Spine computed tomography; sagittal plane, index 314; W/L 1800/400 HU; 512x694 px; 12 vertebrae labeled in this scan
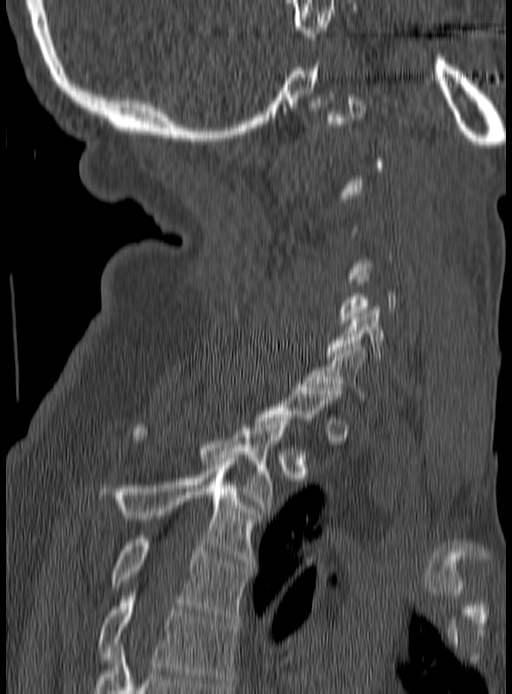
Boxes: x1:y1:x2:y2 in pixels.
Not every vertebra on this slice has a box: a vertebra is boxed only from the first to the last slice where its cross-section is at least a third of its largest, and this slice is outside that range for at least one of them.
C6: 326:307:411:359
C7: 306:344:366:400
T2: 133:418:290:511
T3: 98:461:259:565
T4: 111:536:248:619
T5: 98:593:237:686